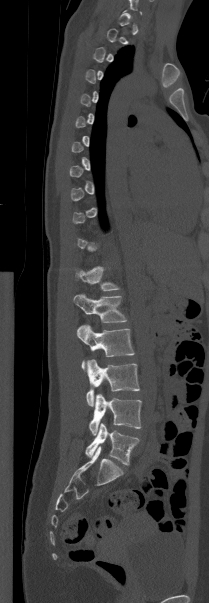

CT spine · sagittal view · the image is 209 mm wide
Boxes: x1 y1 x2 y2 (pixel coords, space-separated). A vertebra is boxed only from the first to the last slice where its cross-section is at least a third of its largest; slices outside that range leave it without a box. The labeled vertebrae in this slice are: L5 at 85 423 139 465, L4 at 89 393 141 435, L3 at 85 359 139 406, L2 at 77 324 134 368, L1 at 73 294 126 322, T12 at 75 266 119 291.